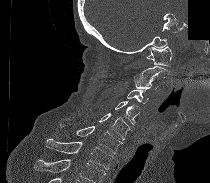

Spine CT. 210 mm across the image. sagittal view. bone window. part of the scan has been removed (filled with constant black). Boxes: x1:y1:x2:y2 in pixels. A vertebra cut off by the bottom edge of the scan is not labeled and has no box. 8 vertebrae labeled — C1 at 146:46:172:66; C2 at 133:66:169:78; C3 at 133:78:159:89; C4 at 127:88:148:103; C5 at 115:101:139:124; C6 at 99:113:129:140; C7 at 60:123:122:153; T1 at 46:139:113:170.